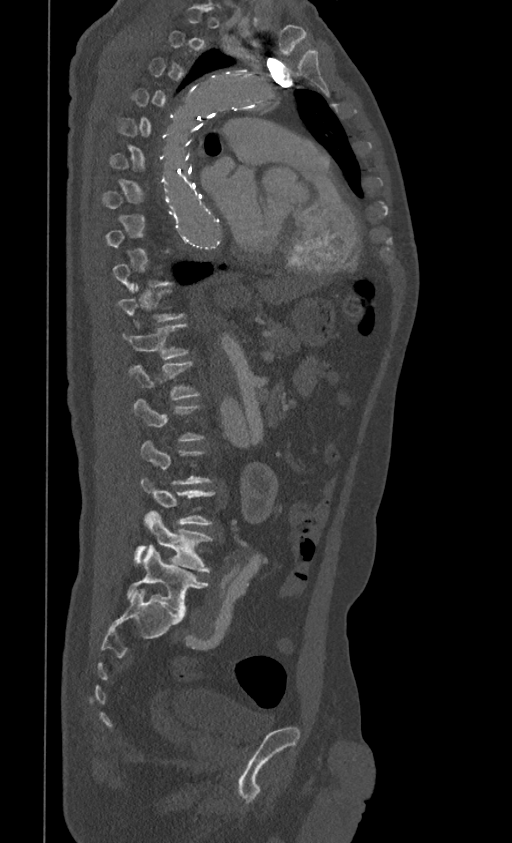 CT; sagittal view; 399 mm image width; Bone window (WL 400, WW 1800)
A vertebra is boxed only from the first to the last slice where its cross-section is at least a third of its largest; slices outside that range leave it without a box.
<vertebrae><v name="T11" x1="122" y1="323" x2="187" y2="358"/><v name="T12" x1="128" y1="361" x2="199" y2="400"/><v name="L3" x1="141" y1="477" x2="214" y2="526"/><v name="L4" x1="135" y1="510" x2="212" y2="572"/><v name="L5" x1="126" y1="545" x2="208" y2="615"/></vertebrae>